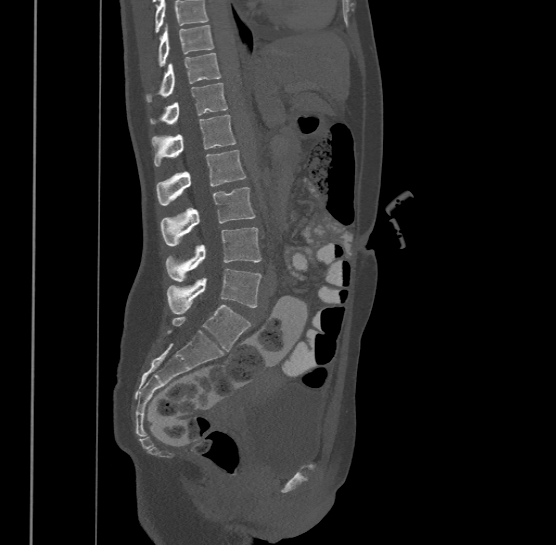
CT spine; 500 mm wide; sagittal view
Columns x1, y1, x2, y2 give each box's top-left and bottom-right pixels.
Vertebrae that run past the top of the scan are left unlabeled.
The highest labeled vertebra in this scan is T9; the lowest is L4.
| vertebra | x1 | y1 | x2 | y2 |
|---|---|---|---|---|
| T9 | 157 | 23 | 214 | 66 |
| T10 | 146 | 52 | 221 | 101 |
| T11 | 150 | 82 | 228 | 123 |
| T12 | 152 | 114 | 236 | 164 |
| L1 | 156 | 150 | 245 | 204 |
| L2 | 160 | 186 | 255 | 244 |
| L3 | 166 | 227 | 262 | 281 |
| L4 | 167 | 268 | 262 | 314 |